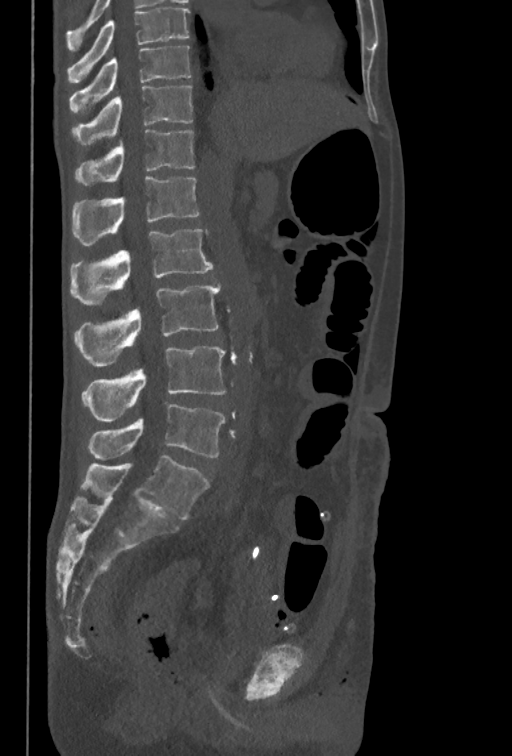

CT, spine; sagittal reformat
Each box given as x1,y1,x2,y2.
Labels in this scan begin with T10 at the top and end with L5 at the bottom.
| vertebra | x1 | y1 | x2 | y2 |
|---|---|---|---|---|
| T10 | 70 | 46 | 190 | 112 |
| T11 | 73 | 86 | 192 | 145 |
| T12 | 74 | 129 | 195 | 186 |
| L1 | 71 | 176 | 199 | 245 |
| L2 | 70 | 229 | 212 | 304 |
| L3 | 74 | 284 | 221 | 366 |
| L4 | 82 | 346 | 226 | 422 |
| L5 | 88 | 404 | 226 | 460 |